CT, spine; sagittal reformat; 168 mm image width; 168x491 px
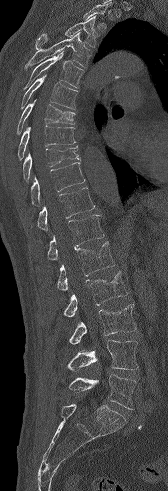 Boxes: x1:y1:x2:y2 in pixels. Vertebrae that run past the top of the scan are left unlabeled. Vertebrae labeled: L5 at 68:375:136:409, L4 at 67:340:138:370, L3 at 68:304:136:344, L2 at 63:271:127:317, L1 at 57:241:115:291, T12 at 47:215:104:260, T11 at 38:187:95:229, T10 at 30:162:85:205, T9 at 23:145:80:183, T8 at 18:125:76:160, T7 at 17:99:75:134, T6 at 21:75:78:109, T5 at 24:51:84:89, T4 at 24:32:92:70, T3 at 35:16:99:48.